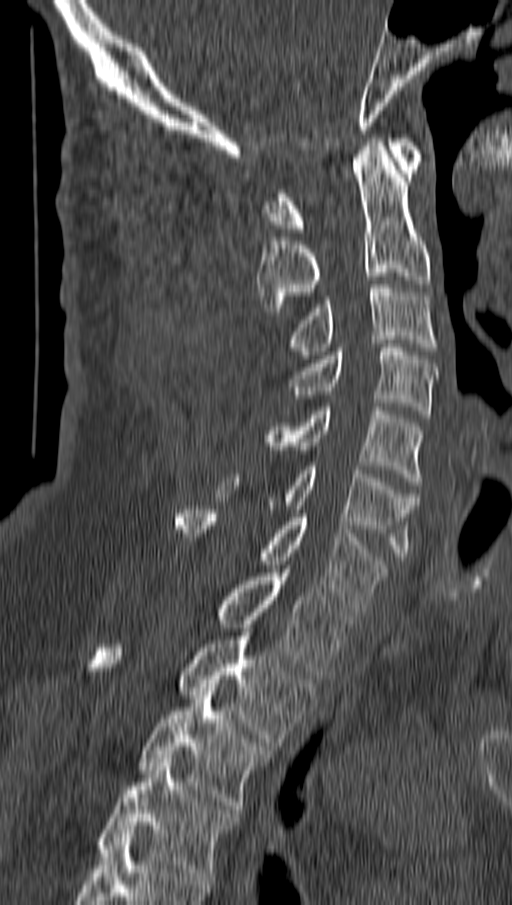 CT spine. sagittal view. W/L 1800/400 HU
Each vertebra maps to its box as [x1, y1, x2, y2], the pixel coordinates of its top-left and bottom-right corners.
{"vertebrae":{"C1":[263,138,422,232],"C2":[257,138,430,315],"C3":[283,284,436,359],"C4":[289,344,436,418],"C5":[260,403,424,485],"C6":[217,466,417,560],"C7":[178,506,386,611],"T1":[219,569,351,679],"T2":[96,632,313,746],"T3":[140,687,269,813],"T4":[99,759,237,880]}}